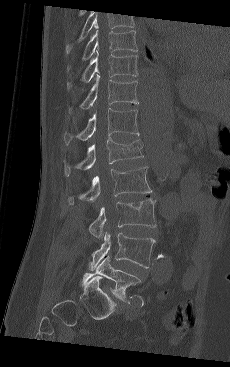
CT, spine · sagittal view · 230x367 px
Each vertebra maps to its box as [x1, y1, x2, y2], the pixel coordinates of its top-left and bottom-right corners.
In this scan, the topmost labeled vertebra is T9 and the lowest is L5.
{"vertebrae":{"L5":[82,255,141,301],"L4":[89,232,155,270],"L3":[89,198,156,239],"L2":[67,166,152,205],"L1":[64,138,143,176],"T12":[64,108,139,145],"T11":[68,74,138,112],"T10":[67,50,137,89],"T9":[67,25,137,70]}}